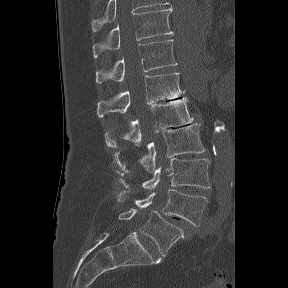 CT spine. sagittal view. the image is 288 mm wide. Bone window (WL 400, WW 1800)
Boxes are (x1, y1, x2, y2) in pixels.
The labels name a sixth lumbar vertebra for this spine: L6, after L5.
T11: (93, 8, 173, 58)
T12: (96, 39, 177, 83)
L1: (97, 72, 184, 117)
L2: (105, 97, 192, 147)
L3: (114, 123, 205, 172)
L4: (116, 158, 210, 191)
L5: (116, 188, 208, 226)
L6: (118, 208, 187, 256)